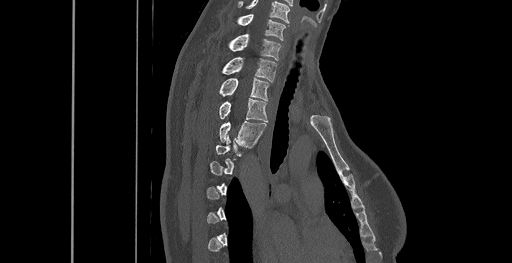

Spine CT · sagittal view · W/L 1800/400 HU · 512x263 px
A vertebra is boxed only from the first to the last slice where its cross-section is at least a third of its largest; slices outside that range leave it without a box.
This scan's labels start at C6 at the top and end at T8 at the bottom.
<vertebrae><v name="C6" x1="236" y1="14" x2="285" y2="40"/><v name="C7" x1="228" y1="34" x2="281" y2="60"/><v name="T1" x1="222" y1="57" x2="276" y2="81"/><v name="T2" x1="218" y1="77" x2="269" y2="100"/><v name="T3" x1="218" y1="99" x2="268" y2="121"/><v name="T4" x1="219" y1="121" x2="265" y2="145"/></vertebrae>